Spine CT · sagittal view · bone-window reconstruction
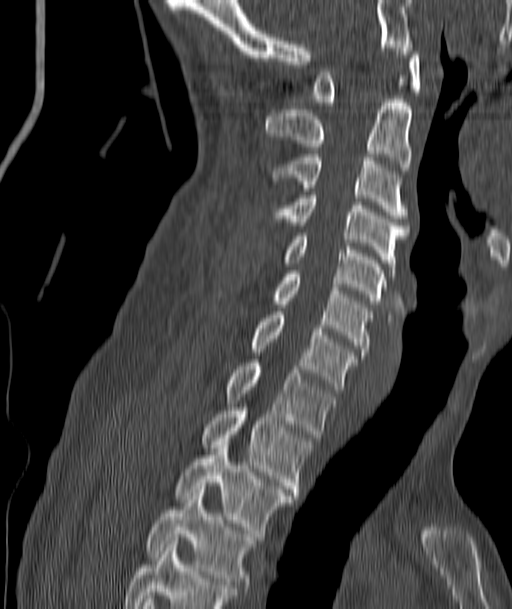 Boxes are (x1, y1, x2, y2) in pixels. 11 vertebrae labeled — C1 at (313, 48, 419, 105); C2 at (266, 99, 411, 170); C3 at (272, 151, 408, 218); C4 at (272, 192, 408, 273); C5 at (283, 233, 386, 304); C6 at (272, 274, 372, 355); C7 at (250, 311, 356, 389); T1 at (225, 359, 334, 437); T2 at (201, 411, 312, 495); T3 at (176, 445, 293, 536); T4 at (146, 493, 254, 588).